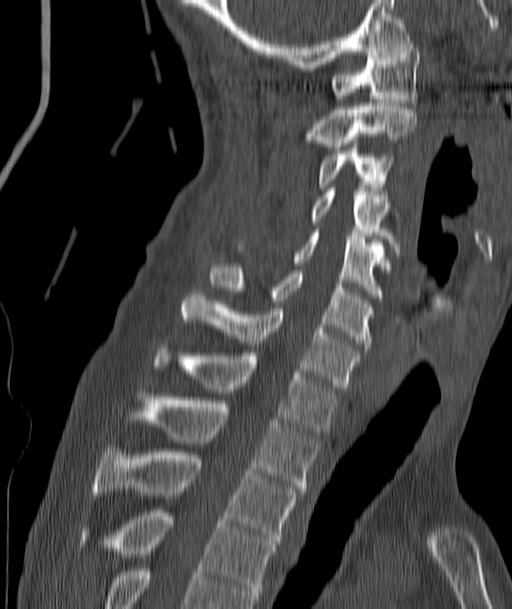 CT spine; sagittal view
Each row gives a vertebra's box as x1, y1, x2, y2 in pixels: top-left corner, then bottom-right corner.
| vertebra | x1 | y1 | x2 | y2 |
|---|---|---|---|---|
| C1 | 329 | 41 | 419 | 105 |
| C2 | 302 | 103 | 416 | 150 |
| C3 | 316 | 151 | 391 | 191 |
| C4 | 310 | 188 | 400 | 252 |
| C5 | 236 | 233 | 384 | 300 |
| C6 | 209 | 267 | 372 | 348 |
| C7 | 182 | 291 | 359 | 389 |
| T1 | 154 | 342 | 337 | 434 |
| T2 | 146 | 397 | 317 | 492 |
| T3 | 94 | 448 | 296 | 543 |
| T4 | 116 | 510 | 274 | 601 |